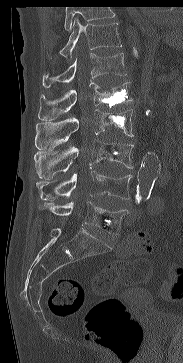

Spine computed tomography. sagittal view. the image is 183 mm wide. Boxes are (x1, y1, x2, y2) in pixels. Vertebrae that run past the top of the scan are left unlabeled. 7 vertebrae labeled — T11 at (58, 18, 121, 57); T12 at (42, 53, 126, 87); L1 at (38, 81, 132, 120); L2 at (35, 109, 133, 149); L3 at (34, 140, 133, 179); L4 at (36, 167, 132, 200); L5 at (38, 201, 128, 234).